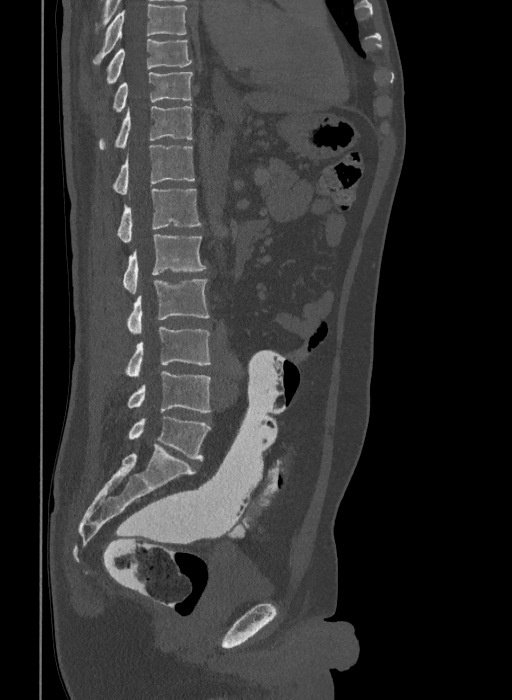 Computed tomography of the spine · sagittal reformat · 512x700 px. Coordinates as <box>x1,y1,x2,y2</box>.
The highest labeled vertebra in this scan is T9; the lowest is L6.
The labels name a sixth lumbar vertebra for this spine: L6, after L5.
Vertebra bounding boxes:
- T9: <box>106,38,192,86</box>
- T10: <box>113,71,193,112</box>
- T11: <box>99,106,192,149</box>
- T12: <box>113,145,194,194</box>
- L1: <box>116,189,202,242</box>
- L2: <box>123,234,205,293</box>
- L3: <box>126,279,209,334</box>
- L4: <box>124,327,210,378</box>
- L5: <box>128,372,210,412</box>
- L6: <box>128,417,210,460</box>